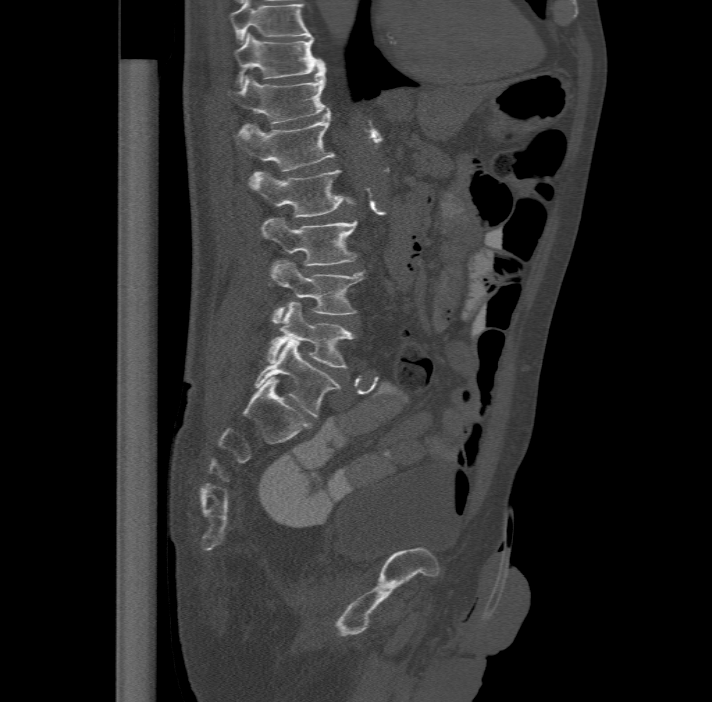 Spine computed tomography; sagittal view; Bone window (WL 400, WW 1800)
Each vertebra maps to its box as [x1, y1, x2, y2], the pixel coordinates of its top-left and bottom-right corners.
The highest labeled vertebra in this scan is T11; the lowest is L6.
In these labels the spine has an L6, a sixth lumbar vertebra below L5.
{"vertebrae":{"T11":[234,33,324,85],"T12":[228,68,329,129],"L1":[236,110,334,170],"L2":[250,168,354,217],"L3":[261,218,358,264],"L4":[270,259,365,323],"L5":[267,302,354,368],"L6":[253,338,340,416]}}